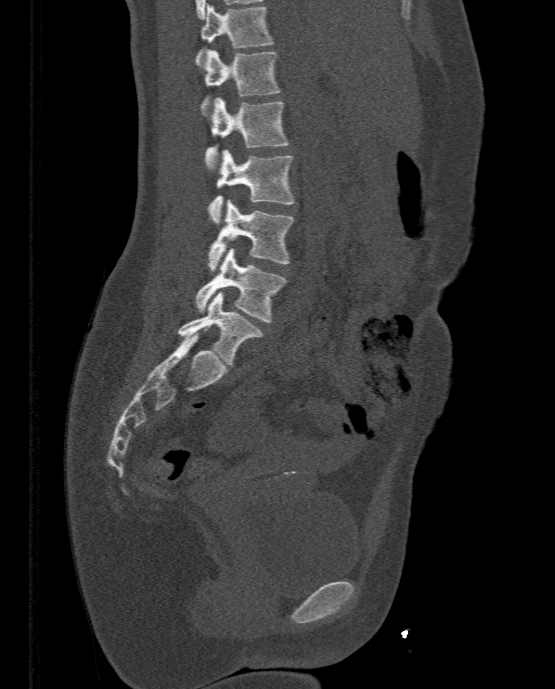
Spine CT; sagittal view

Boxes: x1 y1 x2 y2 (pixel coords, space-separated). 7 vertebrae labeled — L5 at 178 292 262 365; L4 at 195 248 287 322; L3 at 207 198 294 271; L2 at 208 149 295 223; L1 at 205 97 288 168; T12 at 201 49 281 116; T11 at 195 3 273 66.